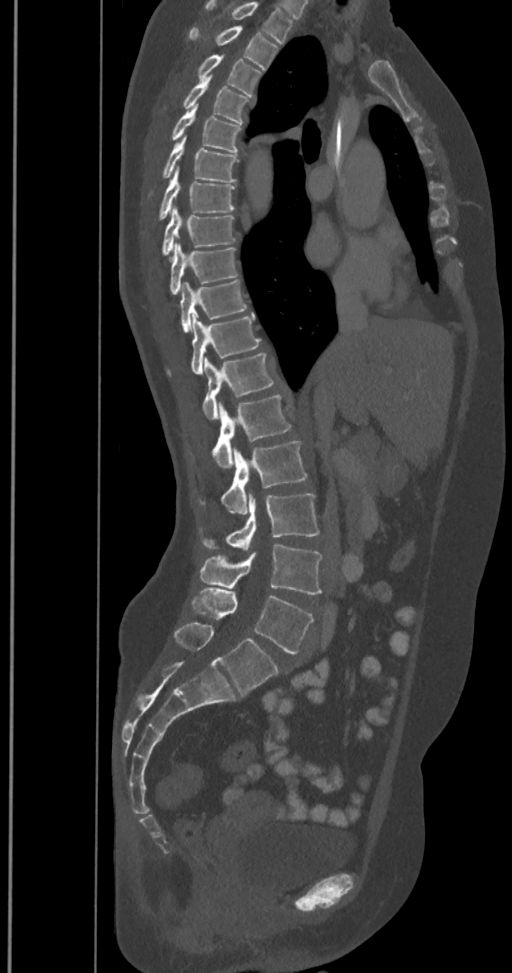 CT. sagittal view. 512x973 px
Labels in this scan begin with T2 at the top and end with L6 at the bottom.
The labels name a sixth lumbar vertebra for this spine: L6, after L5.
<vertebrae><v name="L6" x1="174" y1="621" x2="278" y2="695"/><v name="L5" x1="190" y1="587" x2="313" y2="653"/><v name="L4" x1="200" y1="545" x2="322" y2="594"/><v name="L3" x1="203" y1="494" x2="319" y2="551"/><v name="L2" x1="199" y1="441" x2="307" y2="514"/><v name="L1" x1="212" y1="395" x2="291" y2="468"/><v name="T12" x1="202" y1="353" x2="277" y2="420"/><v name="T11" x1="168" y1="313" x2="261" y2="374"/><v name="T10" x1="180" y1="279" x2="246" y2="333"/><v name="T9" x1="169" y1="244" x2="237" y2="295"/><v name="T8" x1="162" y1="207" x2="236" y2="256"/><v name="T7" x1="159" y1="169" x2="234" y2="219"/><v name="T6" x1="162" y1="137" x2="237" y2="182"/><v name="T5" x1="171" y1="105" x2="240" y2="153"/><v name="T4" x1="183" y1="75" x2="250" y2="124"/><v name="T3" x1="197" y1="54" x2="262" y2="96"/><v name="T2" x1="188" y1="26" x2="278" y2="70"/></vertebrae>